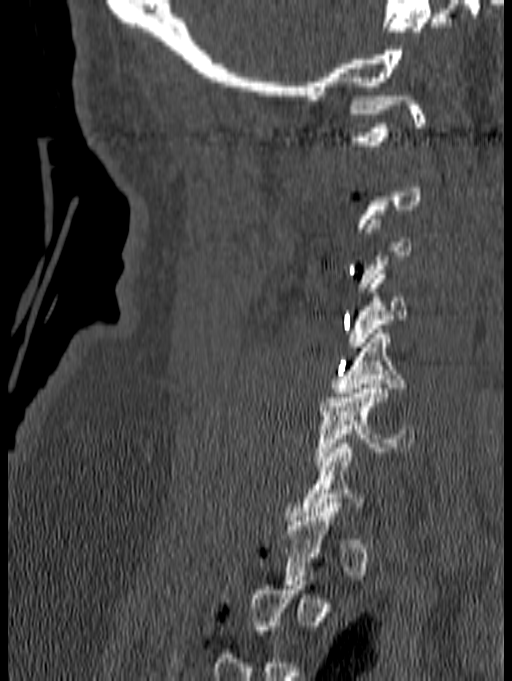 CT spine · sagittal view
A vertebra is boxed only from the first to the last slice where its cross-section is at least a third of its largest; slices outside that range leave it without a box.
<vertebrae><v name="C1" x1="347" y1="96" x2="425" y2="145"/><v name="C5" x1="329" y1="329" x2="406" y2="401"/><v name="C6" x1="315" y1="384" x2="415" y2="465"/></vertebrae>